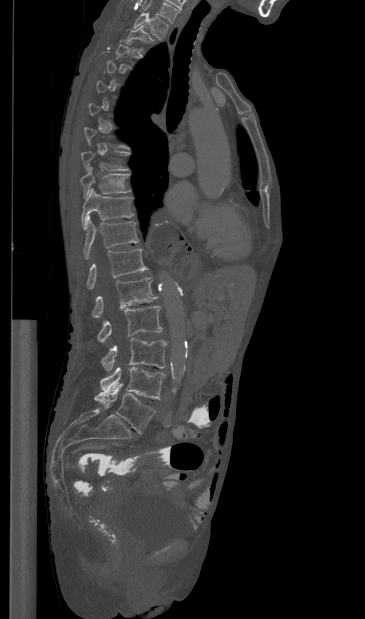

CT — sagittal reformat — 365 mm across the image — 365x619 px. Boxes are given in columns x1, y1, x2, y2, the pixel coordinates of their top-left and bottom-right corners.
Each vertebra is boxed only on the slices from the first to the last where its cross-section reaches a third of its largest, so a slice outside that range leaves it unboxed.
This scan's labels start at T1 at the top and end at L5 at the bottom.
| vertebra | x1 | y1 | x2 | y2 |
|---|---|---|---|---|
| L5 | 94 | 383 | 155 | 433 |
| L4 | 100 | 366 | 164 | 399 |
| L3 | 101 | 337 | 167 | 372 |
| L2 | 97 | 305 | 162 | 342 |
| L1 | 92 | 278 | 157 | 317 |
| T12 | 86 | 249 | 148 | 289 |
| T11 | 83 | 217 | 138 | 259 |
| T10 | 81 | 188 | 133 | 229 |
| T9 | 80 | 167 | 130 | 198 |
| T8 | 81 | 151 | 128 | 171 |
| T2 | 125 | 25 | 153 | 50 |
| T1 | 133 | 12 | 168 | 39 |